Spine computed tomography. sagittal view. image width 367 mm. bone window
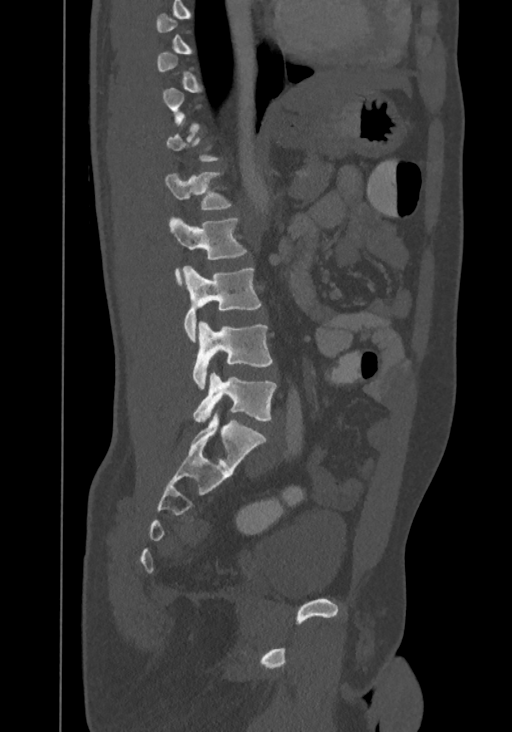
Each box is [x1, y1, x2, y2] in pixels: top-left corner, then bottom-right corner.
A vertebra gets a box only on the slices from the first to the last where its cross-section is at least a third of its largest; on a slice outside that range it gets none.
This scan's labels start at T8 at the top and end at L4 at the bottom.
{"vertebrae":{"T12":[164,171,232,210],"L1":[169,216,247,285],"L2":[184,266,261,341],"L3":[192,321,272,388],"L4":[192,372,276,423]}}